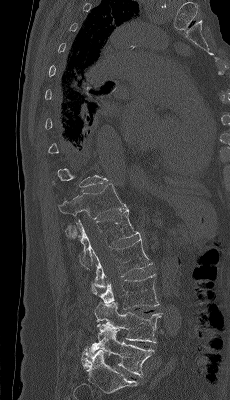

CT, spine · sagittal view · 230 mm across the image · bone window. Each box given as x1,y1,x2,y2.
Each vertebra is boxed only on the slices from the first to the last where its cross-section reaches a third of its largest, so a slice outside that range leaves it unboxed.
T12: x1=57, y1=183, x2=128, y2=219
L1: x1=66, y1=209, x2=140, y2=270
L2: x1=92, y1=237, x2=152, y2=288
L3: x1=91, y1=274, x2=159, y2=309
L4: x1=94, y1=301, x2=162, y2=342
L5: x1=89, y1=324, x2=155, y2=377